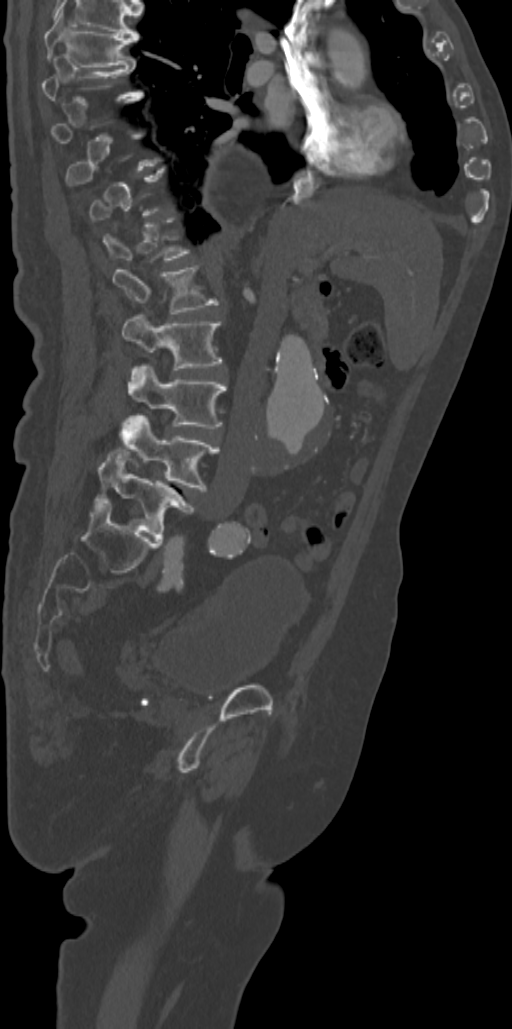 CT spine — sagittal view
Bounding boxes as [x1, y1, x2, y2] in pixel coordinates. A vertebra is boxed only from the first to the last slice where its cross-section is at least a third of its largest; slices outside that range leave it without a box. 6 vertebrae labeled — T7 at [43, 9, 138, 66]; L1 at [112, 265, 219, 314]; L2 at [121, 315, 222, 370]; L3 at [127, 364, 226, 428]; L4 at [120, 413, 219, 489]; L5 at [96, 449, 193, 538].